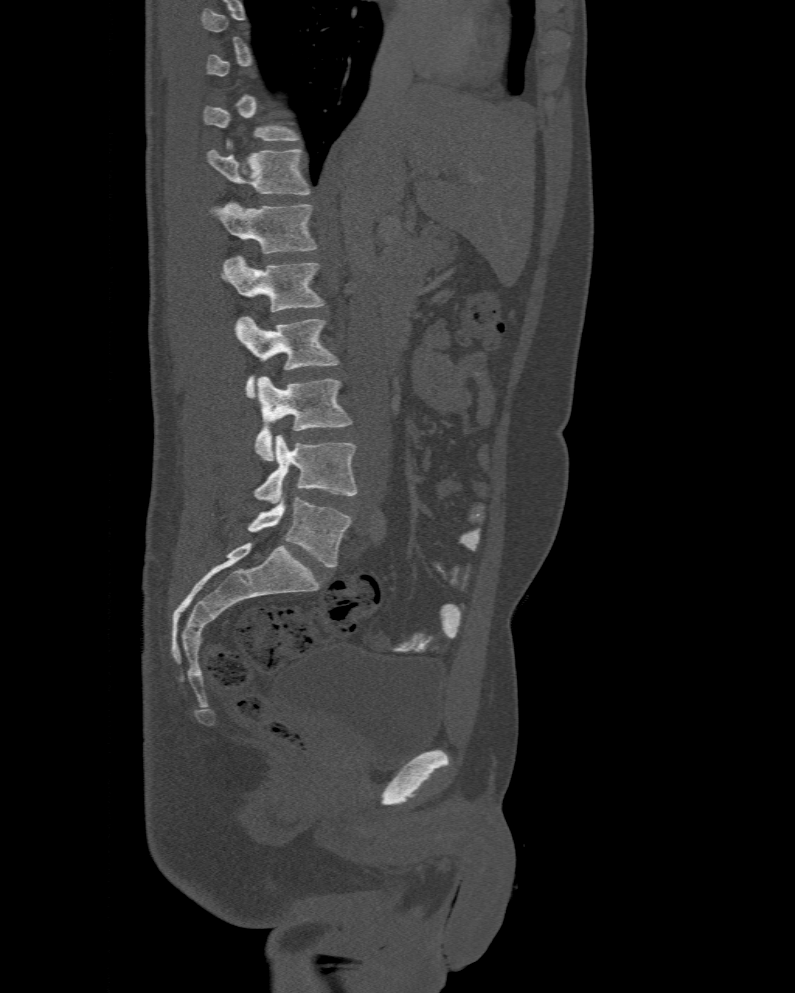 CT, spine. sagittal view. image width 477 mm
Each box is [x1, y1, x2, y2] in pixels: top-left corner, then bottom-right corner.
Each vertebra is boxed only on the slices from the first to the last where its cross-section reaches a third of its largest, so a slice outside that range leaves it unboxed.
In these labels the spine has an L6, a sixth lumbar vertebra below L5.
{"vertebrae":{"L6":[247,498,353,567],"L5":[253,435,358,504],"L4":[255,377,353,461],"L3":[234,316,339,399],"L2":[222,255,325,311],"L1":[210,202,317,252],"T12":[207,149,311,194]}}